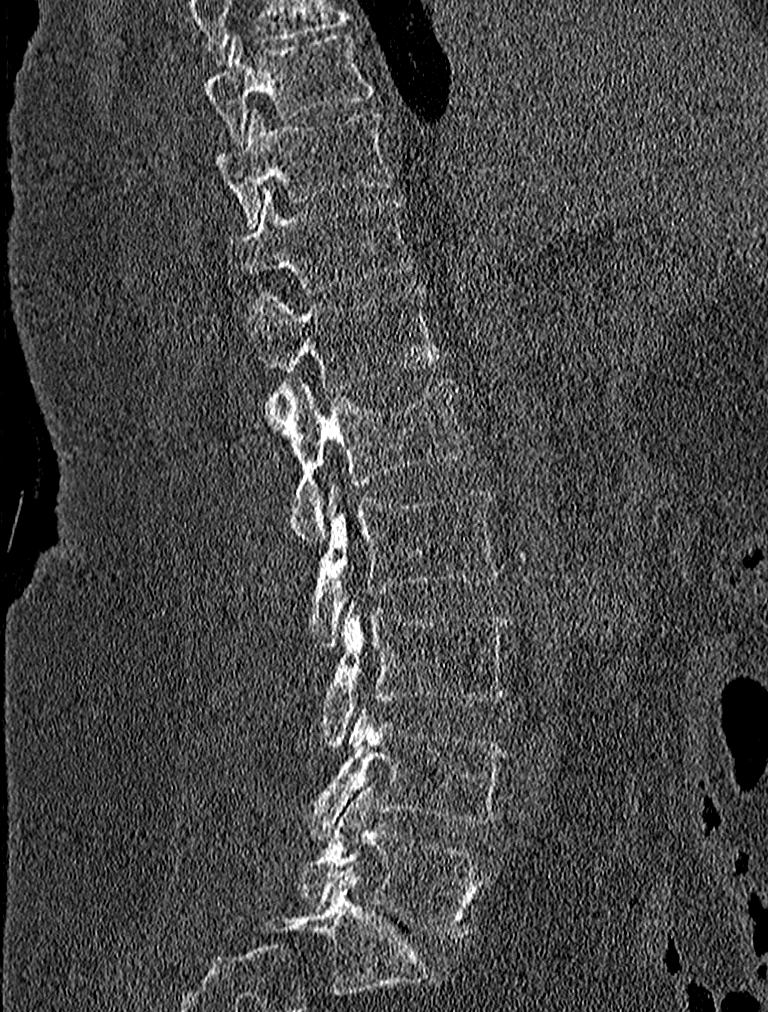
CT spine — 227 mm wide — sagittal view — bone window

Coordinates as <box>x1,y1,x2,y2</box>. The labeled vertebrae in this slice are: L5 at <box>300,787,485,938</box>, L4 at <box>297,709,507,839</box>, L3 at <box>320,597,512,745</box>, L2 at <box>310,484,499,648</box>, L1 at <box>262,376,475,544</box>, T12 at <box>252,288,441,392</box>, T11 at <box>228,190,414,290</box>, T10 at <box>212,110,394,226</box>, T9 at <box>202,33,373,147</box>.